CT, spine · sagittal reformat · 563x990 px
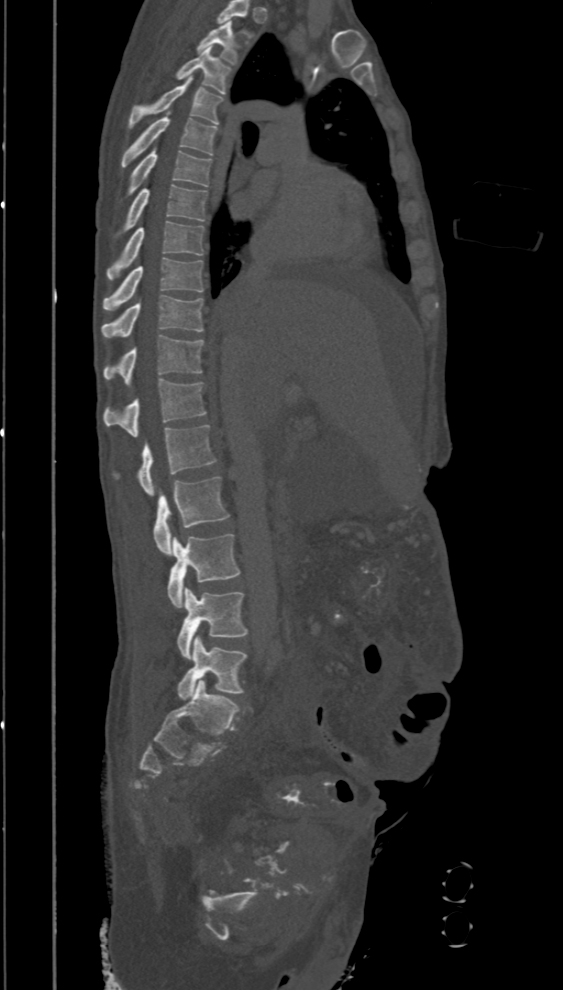
Each vertebra maps to its box as [x1, y1, x2, y2], the pixel coordinates of its top-left and bottom-right corners.
Labels in this scan begin with T2 at the top and end with L5 at the bottom.
{"vertebrae":{"T2":[197,20,239,64],"T3":[176,47,230,94],"T4":[129,76,223,129],"T5":[121,112,218,168],"T6":[128,147,211,196],"T7":[114,185,208,238],"T8":[107,220,203,279],"T9":[102,257,203,311],"T10":[101,295,203,338],"T11":[102,335,203,385],"T12":[102,379,206,437],"L1":[139,425,216,496],"L2":[153,476,229,554],"L3":[167,533,240,607],"L4":[177,587,247,659],"L5":[177,636,247,700]}}